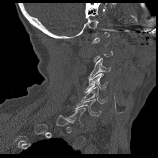

CT. sagittal view. Bone window (WL 400, WW 1800)
A vertebra is boxed only from the first to the last slice where its cross-section is at least a third of its largest; slices outside that range leave it without a box.
<vertebrae><v name="C3" x1="87" y1="58" x2="110" y2="79"/><v name="C4" x1="85" y1="73" x2="107" y2="92"/><v name="C5" x1="81" y1="86" x2="107" y2="103"/><v name="C6" x1="75" y1="99" x2="101" y2="116"/><v name="C7" x1="66" y1="108" x2="85" y2="126"/></vertebrae>